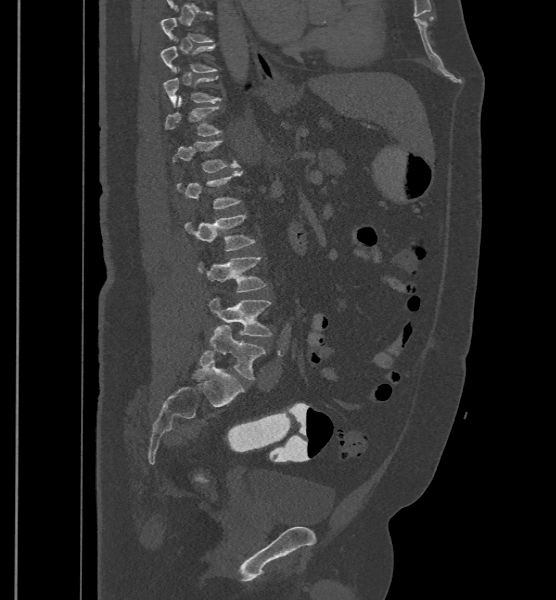
CT — sagittal reformat — bone-window reconstruction

Coordinates as <box>x1,y1,x2,y2</box>. A vertebra is boxed only from the first to the last slice where its cross-section is at least a third of its largest; slices outside that range leave it without a box. The labels name a sixth lumbar vertebra for this spine: L6, after L5. Vertebrae labeled: T10 at <box>160,44,217,72</box>, T11 at <box>164,76,221,107</box>, T12 at <box>165,96,221,136</box>, L1 at <box>173,140,239,172</box>, L3 at <box>184,214,255,251</box>, L4 at <box>197,257,266,291</box>, L5 at <box>208,298,271,336</box>, L6 at <box>211,325,265,379</box>.